CT · sagittal view · 512x782 px · 10 vertebrae labeled in this scan
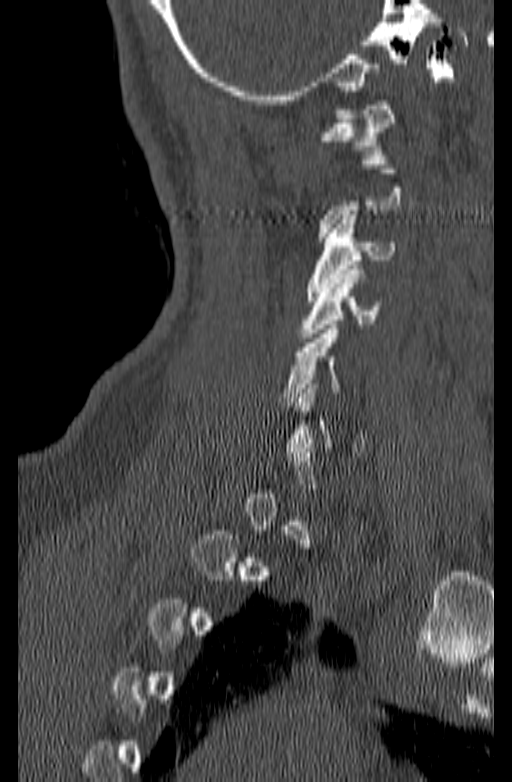

In the table, x1 and y1 are a box's top-left corner and x2 and y2 its bottom-right corner, in pixels.
Each vertebra is boxed only on the slices from the first to the last where its cross-section reaches a third of its largest, so a slice outside that range leaves it unboxed.
| vertebra | x1 | y1 | x2 | y2 |
|---|---|---|---|---|
| C1 | 320 | 101 | 395 | 164 |
| C3 | 307 | 215 | 395 | 301 |
| C4 | 299 | 265 | 378 | 337 |
| C5 | 277 | 325 | 341 | 406 |